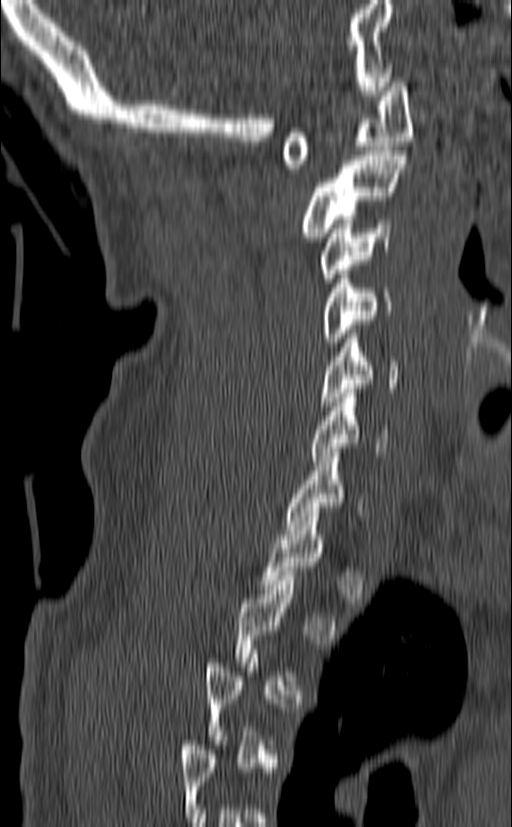

Spine computed tomography; sagittal reformat
Boxes below are [x1, y1, x2, y2] in pixels.
Each vertebra is boxed only on the slices from the first to the last where its cross-section reaches a third of its largest, so a slice outside that range leaves it unboxed.
{"vertebrae":{"C7":[284,448,362,534],"C6":[309,389,388,461],"C5":[319,329,399,406],"C4":[320,265,393,346],"C3":[320,219,392,282],"C2":[298,151,407,241],"C1":[282,78,412,173]}}